CT spine — sagittal reformat — Bone window (WL 400, WW 1800) — 720x720 px
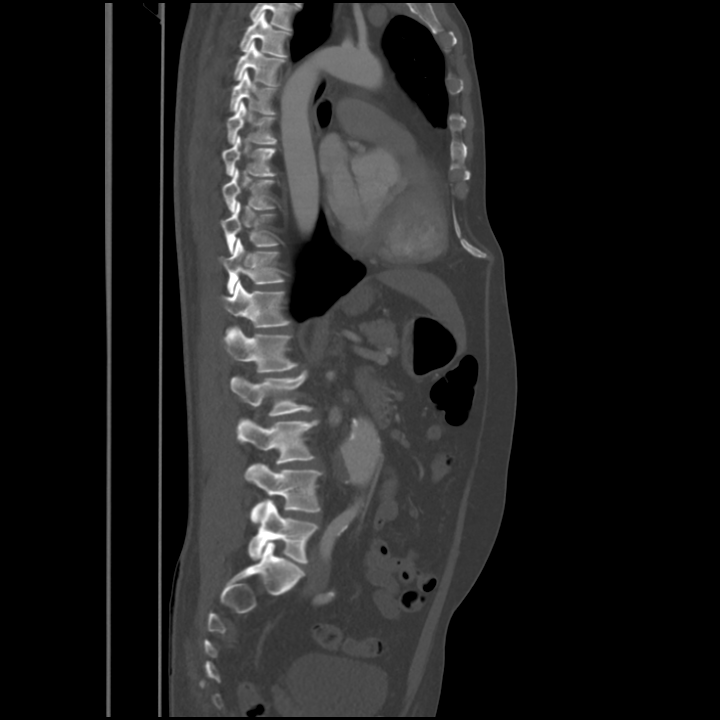

Each box is [x1, y1, x2, y2] in pixels: top-left corner, then bottom-right corner.
{"vertebrae":{"L5":[248,500,318,563],"L4":[244,463,321,522],"L3":[238,418,319,463],"L2":[230,371,312,416],"L1":[223,326,297,373],"T12":[220,280,289,332],"T11":[219,239,283,294],"T10":[221,202,278,254],"T9":[223,168,274,212],"T8":[222,136,277,176],"T7":[227,101,276,144],"T6":[229,71,275,114],"T5":[234,41,284,85],"T4":[239,11,289,57]}}